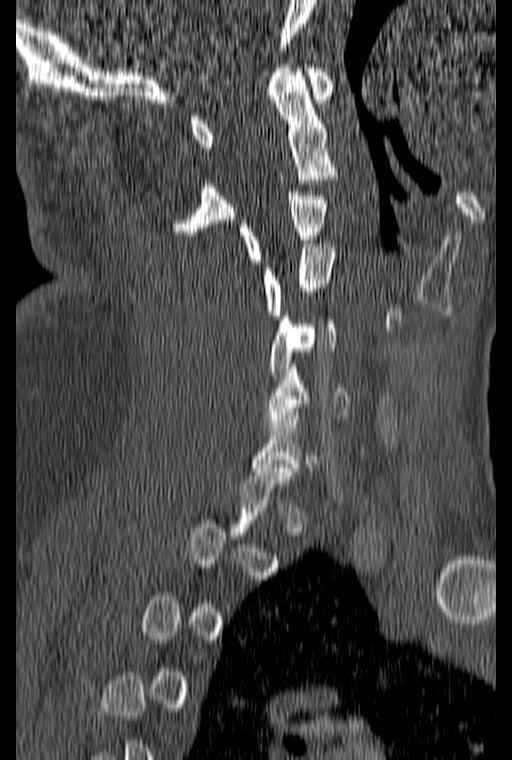
CT; sagittal reformat
Each box given as x1,y1,x2,y2.
Not every vertebra on this slice has a box: a vertebra is boxed only from the first to the last slice where its cross-section is at least a third of its largest, and this slice is outside that range for at least one of them.
Vertebra bounding boxes:
- C1: x1=191, y1=64, x2=333, y2=147
- C2: x1=172, y1=64, x2=337, y2=235
- C3: x1=238, y1=192, x2=327, y2=263
- C4: x1=264, y1=244, x2=334, y2=319
- C5: x1=270, y1=312, x2=336, y2=379
- C6: x1=264, y1=364, x2=348, y2=427